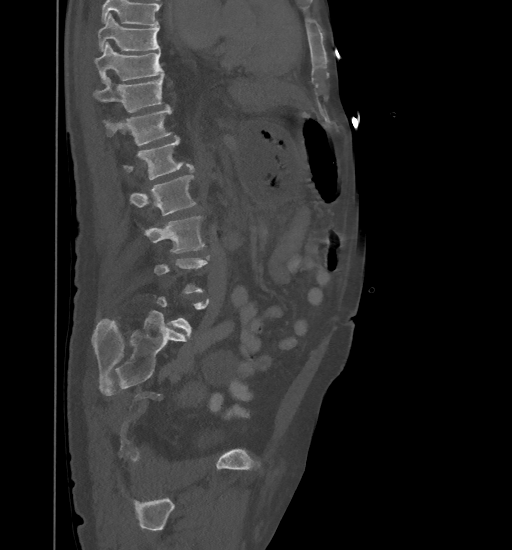

CT spine; sagittal view; Bone window (WL 400, WW 1800). Each box given as x1,y1,x2,y2. Not every vertebra on this slice has a box: a vertebra is boxed only from the first to the last slice where its cross-section is at least a third of its largest, and this slice is outside that range for at least one of them. Where the top of the scan cuts through a vertebra, that vertebra gets no label or box. The labeled vertebrae in this slice are: T9 at x1=98, y1=13, x2=159, y2=51, T10 at x1=94, y1=42, x2=163, y2=83, T11 at x1=93, y1=74, x2=164, y2=112, T12 at x1=104, y1=107, x2=171, y2=146, L1 at x1=123, y1=136, x2=194, y2=179, L2 at x1=129, y1=175, x2=195, y2=216, L3 at x1=145, y1=216, x2=205, y2=252.